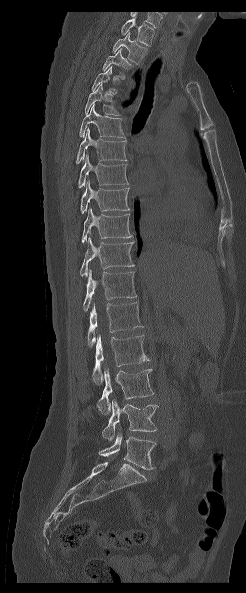 CT, spine · sagittal view
This scan's labels start at T1 at the top and end at L5 at the bottom.
<vertebrae><v name="L5" x1="99" y1="432" x2="155" y2="469"/><v name="L4" x1="102" y1="399" x2="158" y2="441"/><v name="L3" x1="97" y1="369" x2="154" y2="415"/><v name="L2" x1="92" y1="335" x2="149" y2="384"/><v name="L1" x1="87" y1="298" x2="143" y2="346"/><v name="T12" x1="83" y1="269" x2="137" y2="311"/><v name="T11" x1="80" y1="237" x2="133" y2="276"/><v name="T10" x1="81" y1="208" x2="133" y2="245"/><v name="T9" x1="80" y1="181" x2="129" y2="213"/><v name="T8" x1="78" y1="154" x2="128" y2="187"/><v name="T7" x1="76" y1="128" x2="126" y2="164"/><v name="T6" x1="79" y1="104" x2="125" y2="138"/><v name="T5" x1="85" y1="83" x2="119" y2="115"/><v name="T4" x1="91" y1="66" x2="116" y2="93"/><v name="T3" x1="102" y1="48" x2="130" y2="79"/><v name="T2" x1="112" y1="32" x2="147" y2="64"/><v name="T1" x1="121" y1="17" x2="154" y2="46"/></vertebrae>